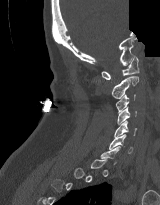
CT. sagittal reformat. a region is blanked to uniform black, ending in a straight edge
Each box is [x1, y1, x2, y2] in pixels: top-left corner, then bottom-right corner.
A vertebra gets a box only on the slices from the first to the last where its cross-section is at least a third of its largest; on a slice outside that range it gets none.
{"vertebrae":{"C6":[109,134,133,153],"C5":[114,120,137,137],"C4":[117,106,136,124],"C3":[116,94,135,113],"C2":[111,76,138,98],"C1":[101,55,139,79]}}